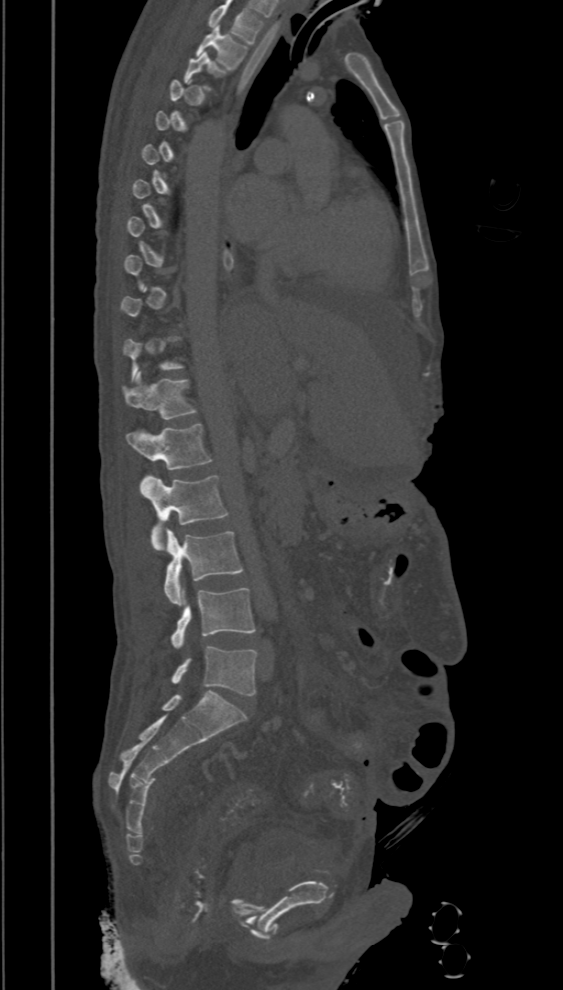
Spine computed tomography. sagittal view. Boxes are given in columns x1, y1, x2, y2, the pixel coordinates of their top-left and bottom-right corners.
Not every vertebra on this slice has a box: a vertebra is boxed only from the first to the last slice where its cross-section is at least a third of its largest, and this slice is outside that range for at least one of them.
This scan's labels start at T2 at the top and end at L5 at the bottom.
| vertebra | x1 | y1 | x2 | y2 |
|---|---|---|---|---|
| T2 | 196 | 26 | 247 | 70 |
| T12 | 121 | 371 | 196 | 419 |
| L1 | 125 | 425 | 211 | 469 |
| L2 | 140 | 475 | 228 | 550 |
| L3 | 164 | 528 | 243 | 605 |
| L4 | 171 | 587 | 254 | 648 |
| L5 | 171 | 646 | 257 | 696 |